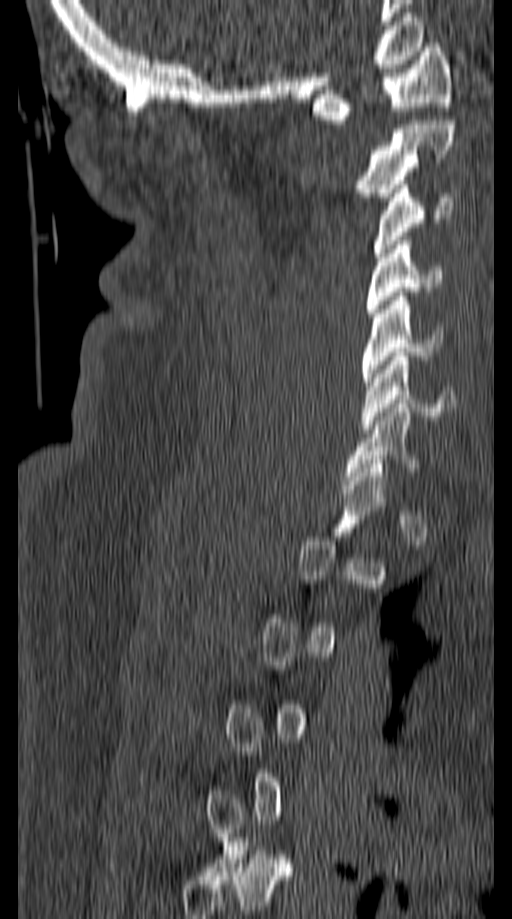 Spine CT · sagittal view · W/L 1800/400 HU
Boxes: x1 y1 x2 y2 (pixel coords, space-separated).
A vertebra gets a box only on the slices from the first to the last where its cross-section is at least a third of its largest; on a slice outside that range it gets none.
C6: 362 352 458 429
C5: 362 292 443 386
C4: 366 241 440 313
C3: 372 180 453 257
C2: 355 120 454 201
C1: 313 43 451 124